CT, spine. sagittal view
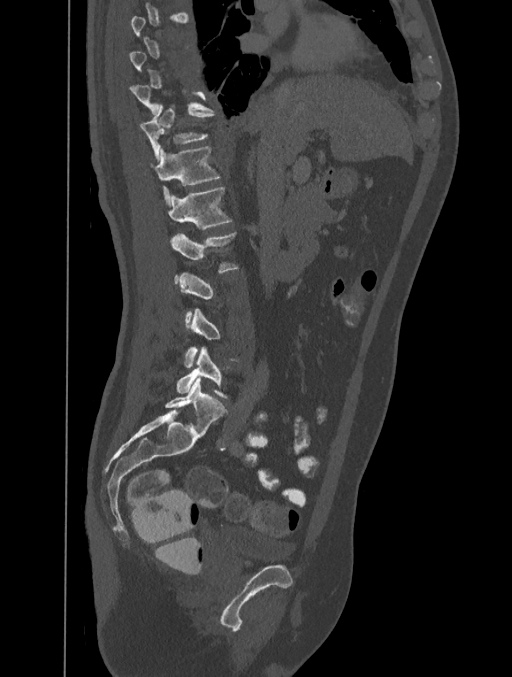 Columns x1, y1, x2, y2 give each box's top-left and bottom-right pixels.
Each vertebra is boxed only on the slices from the first to the last where its cross-section reaches a third of its largest, so a slice outside that range leaves it unboxed.
| vertebra | x1 | y1 | x2 | y2 |
|---|---|---|---|---|
| T11 | 139 | 106 | 213 | 161 |
| T12 | 151 | 146 | 220 | 206 |
| L1 | 167 | 186 | 231 | 229 |
| L2 | 171 | 232 | 238 | 272 |
| L5 | 176 | 346 | 227 | 398 |